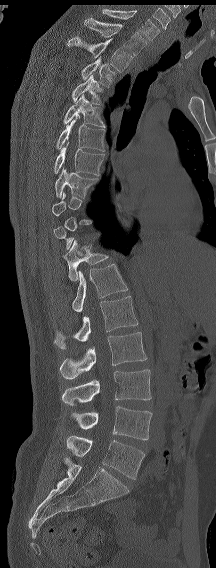 CT, spine; sagittal view; 216x568 px
Boxes: x1 y1 x2 y2 (pixel coords, space-separated).
Not every vertebra on this slice has a box: a vertebra is boxed only from the first to the last slice where its cross-section is at least a third of its largest, and this slice is outside that range for at least one of them.
In these labels the spine has an L6, a sixth lumbar vertebra below L5.
Vertebra bounding boxes:
- C7: 102 9 159 40
- T1: 84 18 147 55
- T2: 67 36 132 72
- T3: 81 57 115 87
- T4: 71 75 103 104
- T5: 63 94 105 127
- T6: 55 117 105 151
- T7: 54 142 104 175
- T8: 55 167 97 198
- T12: 63 238 108 281
- L1: 72 264 127 312
- L2: 54 296 138 349
- L3: 59 332 147 379
- L4: 62 369 151 406
- L5: 70 406 152 440
- L6: 66 436 144 479